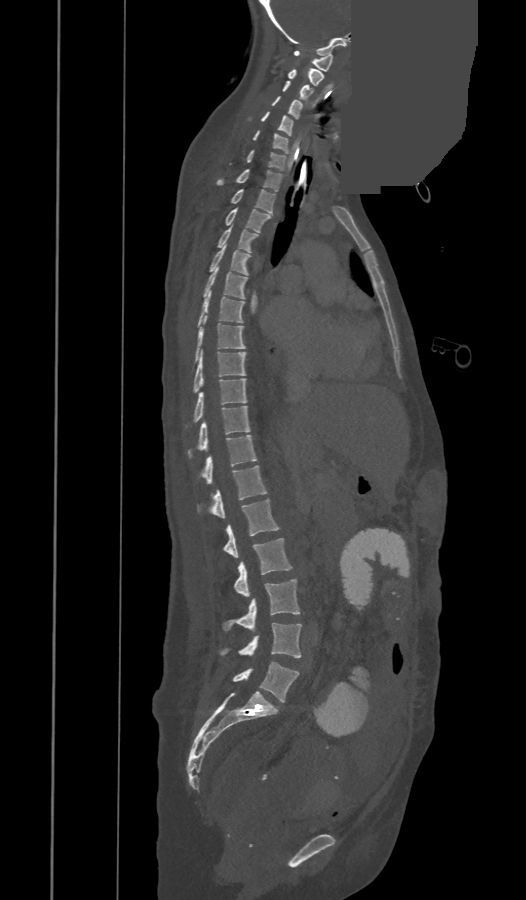

CT, spine. sagittal view. a portion of the image is blanked out (constant pixel value)

These labels give the spine a thirteenth thoracic vertebra: T13 sits between T12 and L1.
<vertebrae><v name="C1" x1="294" y1="51" x2="333" y2="71"/><v name="C2" x1="287" y1="68" x2="323" y2="86"/><v name="C3" x1="282" y1="81" x2="312" y2="100"/><v name="C4" x1="271" y1="96" x2="302" y2="119"/><v name="C5" x1="248" y1="111" x2="293" y2="136"/><v name="C6" x1="254" y1="130" x2="288" y2="154"/><v name="C7" x1="246" y1="150" x2="285" y2="170"/><v name="T1" x1="217" y1="169" x2="281" y2="191"/><v name="T2" x1="231" y1="189" x2="274" y2="214"/><v name="T3" x1="226" y1="208" x2="272" y2="232"/><v name="T4" x1="218" y1="226" x2="258" y2="252"/><v name="T5" x1="210" y1="245" x2="250" y2="275"/><v name="T6" x1="203" y1="267" x2="246" y2="299"/><v name="T7" x1="197" y1="290" x2="244" y2="327"/><v name="T8" x1="192" y1="316" x2="245" y2="368"/><v name="T9" x1="193" y1="350" x2="245" y2="391"/><v name="T10" x1="193" y1="378" x2="246" y2="421"/><v name="T11" x1="188" y1="406" x2="250" y2="457"/><v name="T12" x1="200" y1="435" x2="257" y2="484"/><v name="T13" x1="198" y1="466" x2="267" y2="518"/><v name="L1" x1="223" y1="499" x2="279" y2="557"/><v name="L2" x1="234" y1="538" x2="292" y2="596"/><v name="L3" x1="224" y1="579" x2="300" y2="630"/><v name="L4" x1="220" y1="622" x2="301" y2="657"/><v name="L5" x1="232" y1="662" x2="299" y2="701"/></vertebrae>